Spine computed tomography · sagittal view · W/L 1800/400 HU · scan covers 9 annotated vertebrae
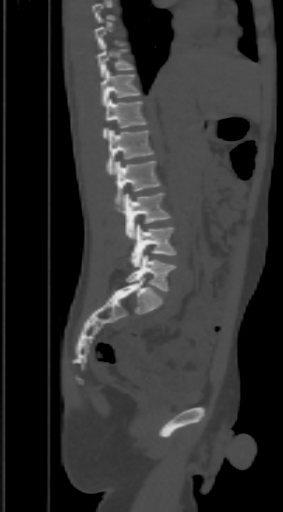

Boxes below are [x1, y1, x2, y2] in pixels.
A vertebra is boxed only from the first to the last slice where its cross-section is at least a third of its largest; slices outside that range leave it without a box.
{"vertebrae":{"L5":[126,254,175,291],"L4":[129,224,175,267],"L3":[115,193,170,239],"L2":[115,161,161,202],"L1":[106,129,153,174],"T12":[104,98,147,139],"T11":[101,68,139,106],"T10":[95,42,133,76]}}